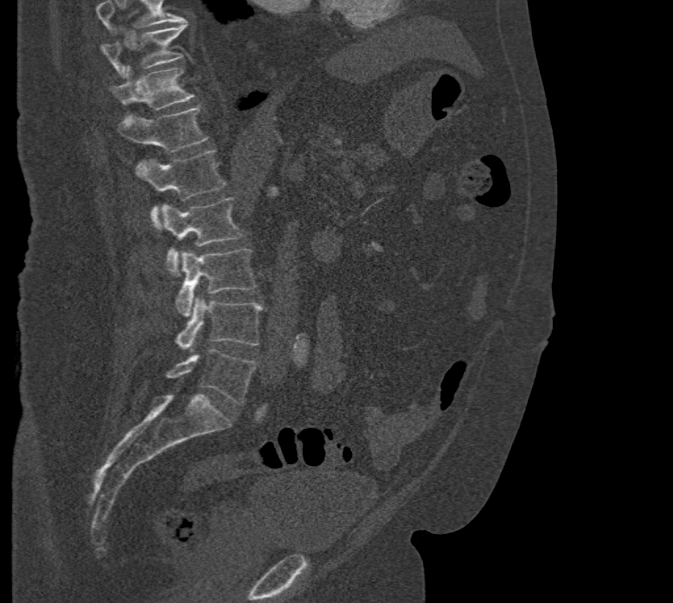

CT. sagittal view. bone-window reconstruction. the image is 471 mm wide. 673x603 px

Vertebrae that run past the top of the scan are left unlabeled.
<vertebrae><v name="T10" x1="100" y1="22" x2="186" y2="75"/><v name="T11" x1="110" y1="66" x2="193" y2="120"/><v name="T12" x1="118" y1="106" x2="208" y2="152"/><v name="L1" x1="135" y1="150" x2="226" y2="227"/><v name="L2" x1="160" y1="198" x2="242" y2="274"/><v name="L3" x1="176" y1="249" x2="257" y2="317"/><v name="L4" x1="176" y1="298" x2="263" y2="351"/><v name="L5" x1="166" y1="349" x2="257" y2="404"/></vertebrae>